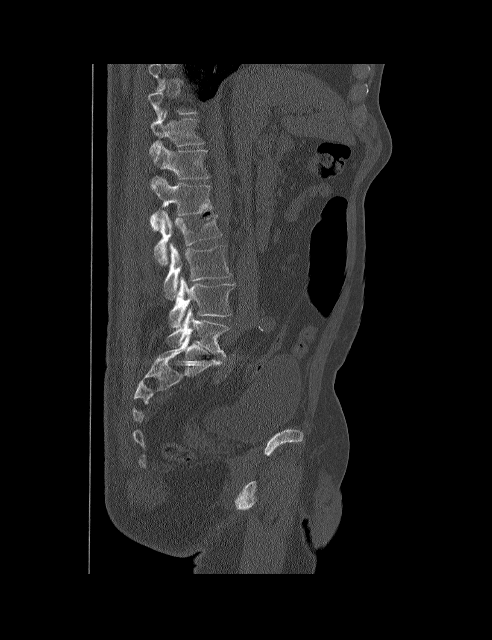 CT, spine — 492 mm wide — sagittal view
Coordinates as <box>x1,y1,x2,y2</box>. Each vertebra is boxed only on the slices from the first to the last where its cross-section reaches a third of its largest, so a slice outside that range leaves it unboxed. The labeled vertebrae in this slice are: T11 at <box>149,111,205,155</box>, T12 at <box>151,142,210,189</box>, L1 at <box>149,177,212,230</box>, L2 at <box>154,210,221,265</box>, L3 at <box>164,243,231,299</box>, L4 at <box>169,276,235,327</box>, L5 at <box>166,308,229,356</box>.